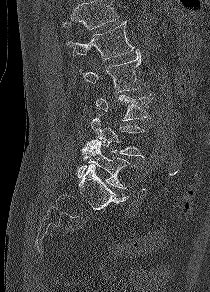 Computed tomography of the spine · sagittal view · 210 mm across the image · 210x292 px. Each box given as x1,y1,x2,y2.
No box is given to a vertebra that the top edge of the scan cuts off.
L1: x1=66, y1=21, x2=134, y2=60
L2: x1=82, y1=49, x2=141, y2=92
L3: x1=94, y1=95, x2=151, y2=121
L4: x1=91, y1=117, x2=147, y2=157
L5: x1=75, y1=139, x2=134, y2=188